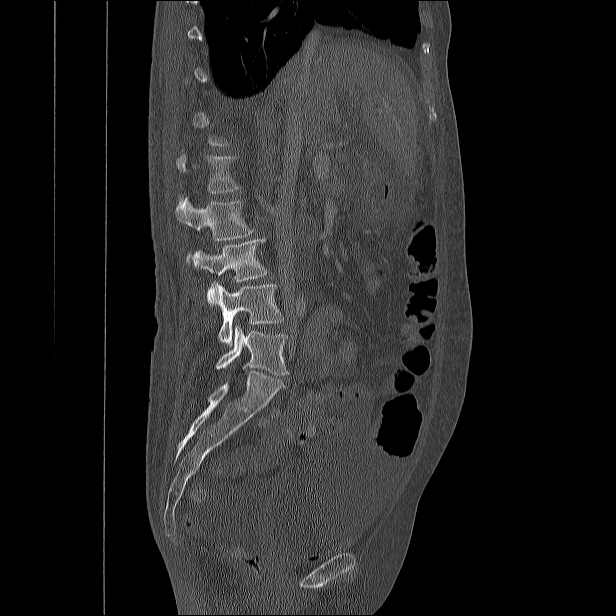
Spine CT; sagittal view
A vertebra gets a box only on the slices from the first to the last where its cross-section is at least a third of its largest; on a slice outside that range it gets none.
<vertebrae><v name="L1" x1="176" y1="155" x2="240" y2="193"/><v name="L2" x1="175" y1="197" x2="253" y2="266"/><v name="L3" x1="192" y1="238" x2="267" y2="304"/><v name="L4" x1="216" y1="282" x2="283" y2="345"/><v name="L5" x1="216" y1="325" x2="289" y2="375"/></vertebrae>